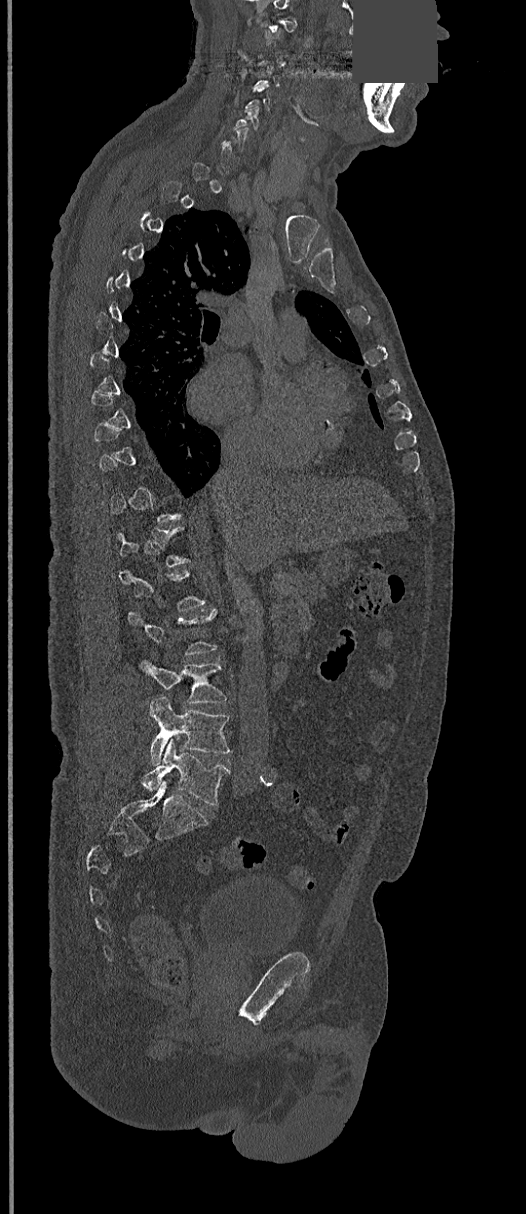

CT, spine — sagittal reformat — 368 mm across the image — bone-window reconstruction — 526x1214 px — a region is masked with a constant gray value. Each box given as x1,y1,x2,y2.
Not every vertebra on this slice has a box: a vertebra is boxed only from the first to the last slice where its cross-section is at least a third of its largest, and this slice is outside that range for at least one of them.
C5: x1=233, y1=104, x2=259, y2=130
L3: x1=140, y1=660, x2=226, y2=703
L4: x1=150, y1=697, x2=232, y2=765
L5: x1=142, y1=739, x2=229, y2=805